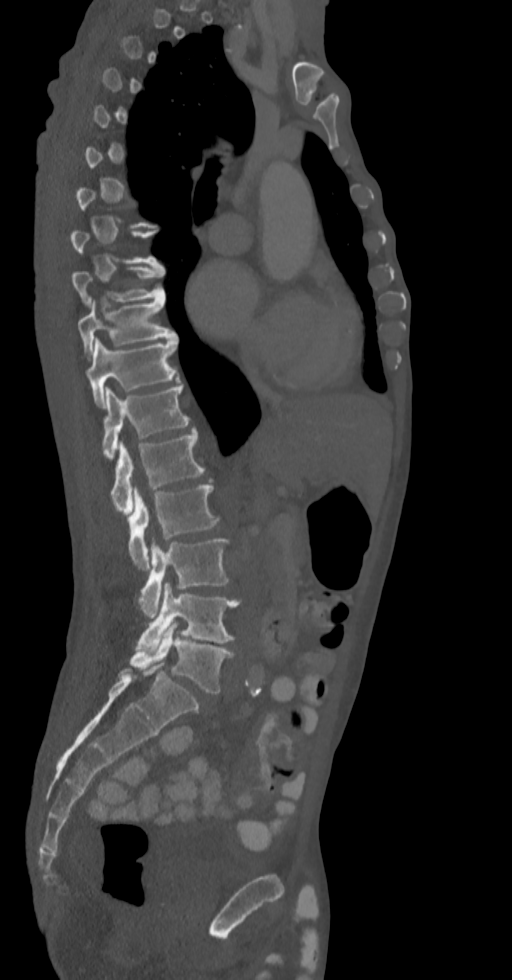 CT spine · sagittal view · W/L 1800/400 HU · 512x980 px · image 336 mm wide
Boxes are given in columns x1, y1, x2, y2, the pixel coordinates of their top-left and bottom-right corners.
A vertebra is boxed only from the first to the last slice where its cross-section is at least a third of its largest; slices outside that range leave it without a box.
| vertebra | x1 | y1 | x2 | y2 |
|---|---|---|---|---|
| L5 | 131 | 622 | 233 | 694 |
| L4 | 138 | 582 | 241 | 650 |
| L3 | 138 | 538 | 229 | 618 |
| L2 | 128 | 485 | 220 | 569 |
| L1 | 111 | 431 | 204 | 514 |
| T12 | 102 | 386 | 189 | 458 |
| T11 | 87 | 338 | 179 | 407 |
| T10 | 77 | 296 | 175 | 357 |
| T9 | 73 | 265 | 165 | 305 |